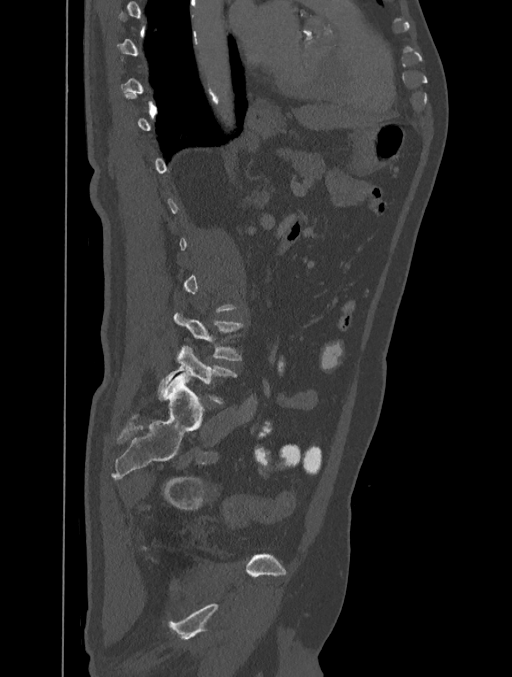

Spine CT — sagittal reformat — bone-window reconstruction — 512x677 px — 401 mm image width

Boxes: x1 y1 x2 y2 (pixel coords, space-separated). Not every vertebra on this slice has a box: a vertebra is boxed only from the first to the last slice where its cross-section is at least a third of its largest, and this slice is outside that range for at least one of them. 2 vertebrae labeled — L4 at 174 311 243 361; L5 at 158 346 236 402.